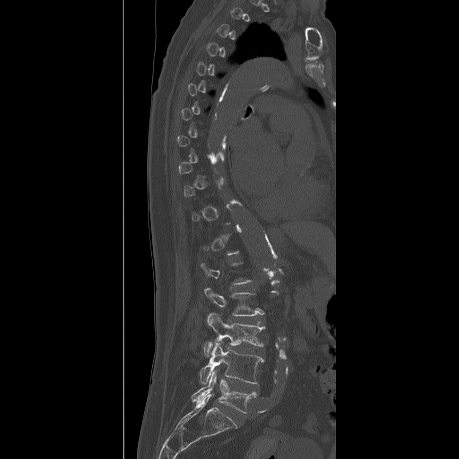 Computed tomography of the spine; sagittal view; bone-window reconstruction
Boxes are given in columns x1, y1, x2, y2, the pixel coordinates of their top-left and bottom-right corners.
A vertebra is boxed only from the first to the last slice where its cross-section is at least a third of its largest; slices outside that range leave it without a box.
| vertebra | x1 | y1 | x2 | y2 |
|---|---|---|---|---|
| L2 | 204 | 287 | 263 | 315 |
| L3 | 203 | 313 | 264 | 356 |
| L4 | 199 | 342 | 263 | 384 |
| L5 | 192 | 371 | 255 | 413 |